CT spine. sagittal reformat. 512x609 px. scan covers 11 annotated vertebrae
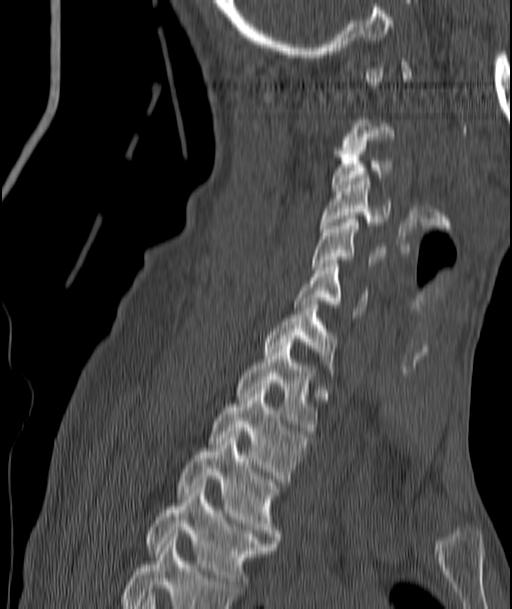
A vertebra gets a box only on the slices from the first to the last where its cross-section is at least a third of its largest; on a slice outside that range it gets none.
<vertebrae><v name="T4" x1="146" y1="486" x2="274" y2="591"/><v name="T3" x1="176" y1="431" x2="279" y2="543"/><v name="T2" x1="209" y1="387" x2="309" y2="482"/><v name="T1" x1="236" y1="339" x2="317" y2="434"/><v name="C7" x1="264" y1="301" x2="337" y2="379"/><v name="C6" x1="294" y1="264" x2="367" y2="314"/><v name="C5" x1="313" y1="219" x2="380" y2="269"/><v name="C4" x1="321" y1="178" x2="389" y2="228"/><v name="C3" x1="332" y1="144" x2="391" y2="191"/></vertebrae>